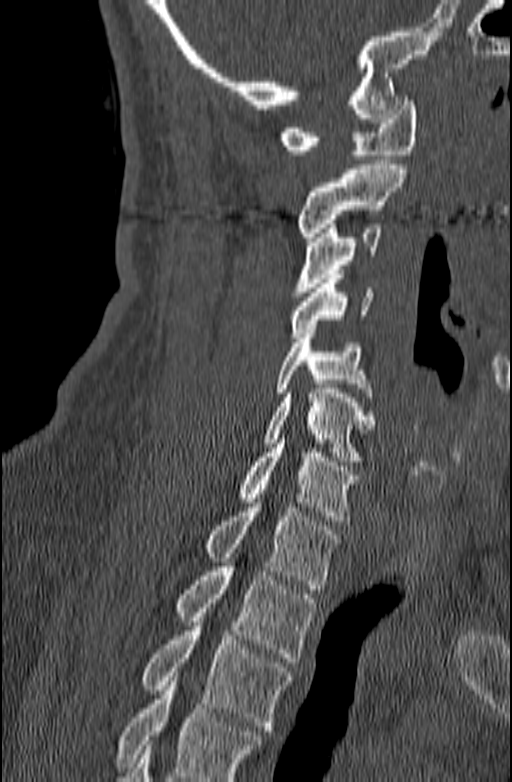 Spine CT · sagittal reformat · 512x782 px. Coordinates as <box>x1,y1,x2,y2</box>. A vertebra cut off by the bottom edge of the scan is not labeled and has no box. The labeled vertebrae in this slice are: T3 at <box>143,608,290,735</box>, T2 at <box>177,553,316,662</box>, T1 at <box>206,498,340,589</box>, C7 at <box>239,434,359,525</box>, C6 at <box>265,384,374,461</box>, C5 at <box>275,334,375,401</box>, C4 at <box>290,274,373,337</box>, C3 at <box>292,224,381,296</box>, C2 at <box>297,165,406,241</box>, C1 at <box>279,96,417,159</box>.